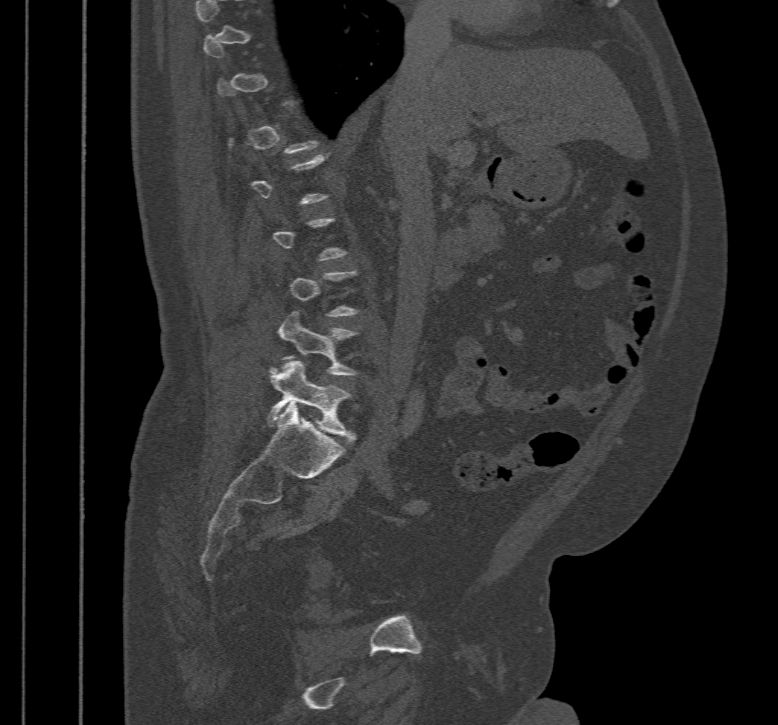

Computed tomography of the spine. sagittal view. bone-window reconstruction. 467 mm across the image. 778x725 px
Boxes: x1 y1 x2 y2 (pixel coords, space-separated).
A vertebra gets a box only on the slices from the first to the last where its cross-section is at least a third of its largest; on a slice outside that range it gets none.
L5: 266 360 356 442
L4: 278 310 358 376